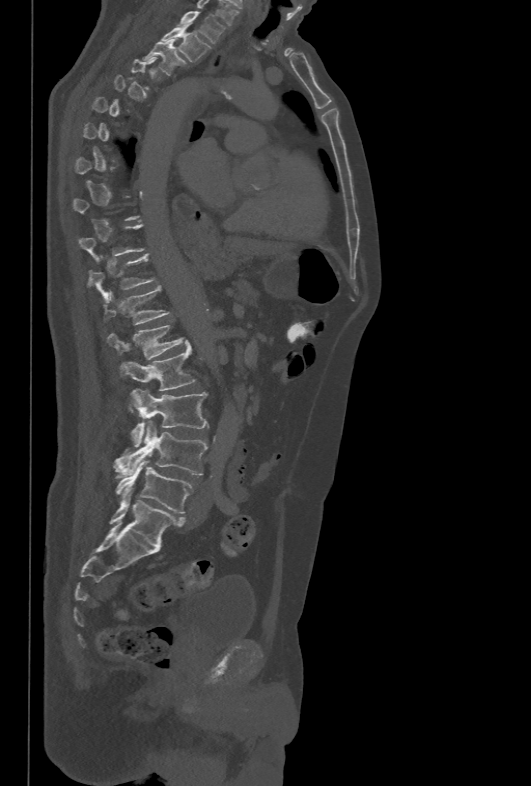
CT, spine · sagittal view · W/L 1800/400 HU. In the table, x1 and y1 are a box's top-left corner and x2 and y2 its bottom-right corner, in pixels.
Each vertebra is boxed only on the slices from the first to the last where its cross-section reaches a third of its largest, so a slice outside that range leaves it unboxed.
| vertebra | x1 | y1 | x2 | y2 |
|---|---|---|---|---|
| L5 | 115 | 459 | 192 | 513 |
| L4 | 113 | 420 | 208 | 475 |
| L3 | 130 | 389 | 208 | 446 |
| L2 | 120 | 340 | 196 | 391 |
| L1 | 107 | 325 | 184 | 359 |
| T12 | 104 | 286 | 171 | 325 |
| T11 | 88 | 254 | 156 | 302 |
| T3 | 143 | 38 | 185 | 75 |
| T2 | 160 | 27 | 212 | 62 |
| T1 | 177 | 10 | 224 | 43 |